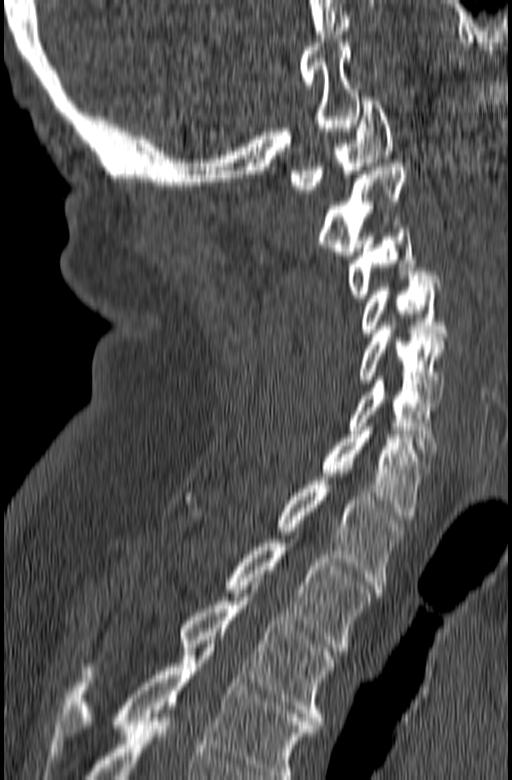
Computed tomography of the spine. sagittal view
This scan's labels start at C1 at the top and end at T3 at the bottom.
<vertebrae><v name="C1" x1="290" y1="97" x2="392" y2="197"/><v name="C2" x1="318" y1="163" x2="407" y2="259"/><v name="C3" x1="345" y1="217" x2="428" y2="302"/><v name="C4" x1="361" y1="272" x2="448" y2="336"/><v name="C5" x1="358" y1="326" x2="445" y2="402"/><v name="C6" x1="349" y1="376" x2="438" y2="457"/><v name="C7" x1="314" y1="427" x2="429" y2="519"/><v name="T1" x1="184" y1="481" x2="404" y2="585"/><v name="T2" x1="224" y1="528" x2="380" y2="651"/><v name="T3" x1="82" y1="586" x2="335" y2="728"/></vertebrae>